Computed tomography of the spine — sagittal view
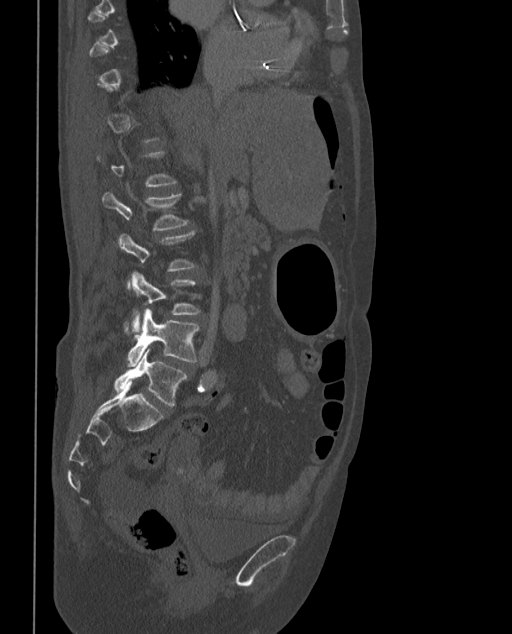 Boxes: x1:y1:x2:y2 in pixels.
A vertebra is boxed only from the first to the last slice where its cross-section is at least a third of its largest; slices outside that range leave it without a box.
These labels give the spine a sixth lumbar vertebra, L6, below L5.
L2: 101:191:188:231
L3: 118:232:195:288
L4: 127:272:199:334
L5: 127:309:199:367
L6: 114:348:187:407